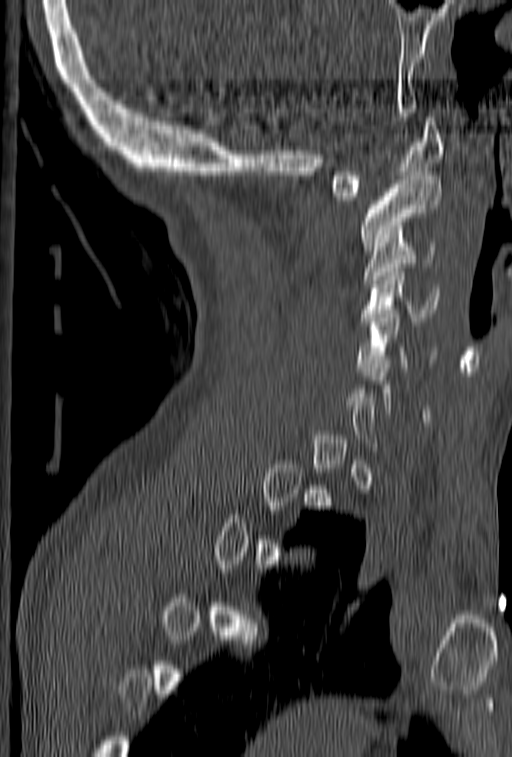 CT, spine; sagittal view; bone window; 512x757 px
Boxes below are [x1, y1, x2, y2] in pixels.
A vertebra gets a box only on the slices from the first to the last where its cross-section is at least a third of its largest; on a slice outside that range it gets none.
{"vertebrae":{"C5":[356,301,437,371],"C4":[360,264,439,325],"C3":[363,238,435,283],"C2":[359,172,442,250],"C1":[332,117,443,200]}}